CT — Sagittal slice 41/88 — Bone window (WL 400, WW 1800)
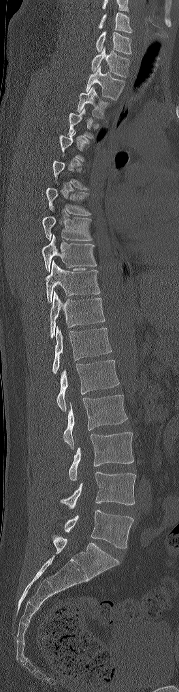 Each vertebra maps to its box as [x1, y1, x2, y2], the pixel coordinates of its top-left and bottom-right corners.
Not every vertebra on this slice has a box: a vertebra is boxed only from the first to the last slice where its cross-section is at least a third of its largest, and this slice is outside that range for at least one of them.
Labels in this scan begin with C6 at the top and end with L5 at the bottom.
{"vertebrae":{"L5":[64,510,133,548],"L4":[61,472,135,509],"L3":[69,432,134,480],"L2":[63,395,127,449],"L1":[57,360,119,411],"T12":[52,326,111,373],"T11":[50,292,105,338],"T10":[45,261,100,302],"T9":[42,234,96,271],"T8":[42,216,92,241],"T7":[45,188,90,215],"T3":[77,87,110,119],"T2":[85,66,124,100],"T1":[91,47,129,77],"C7":[96,31,131,54],"C6":[98,12,132,33]}}